CT, spine — sagittal view — bone window — 417x683 px
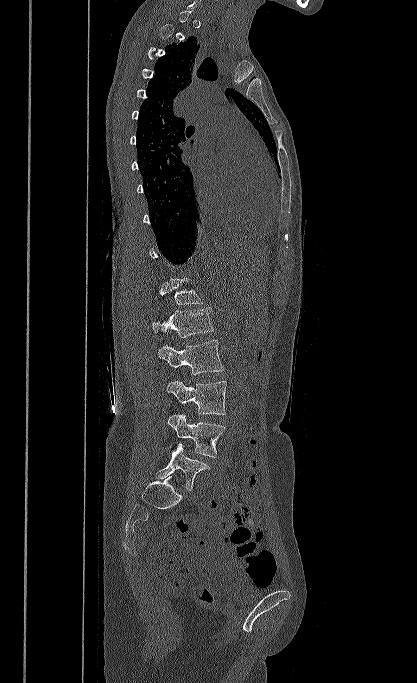

Each box is [x1, y1, x2, y2] in pixels: top-left corner, then bottom-right corner.
A vertebra is boxed only from the first to the last slice where its cross-section is at least a third of its largest; slices outside that range leave it without a box.
{"vertebrae":{"L5":[156,443,210,490],"L4":[167,414,225,457],"L3":[166,381,227,415],"L2":[157,340,224,375],"L1":[151,307,213,337],"T12":[155,278,202,304]}}